Spine computed tomography — sagittal view — 512x919 px
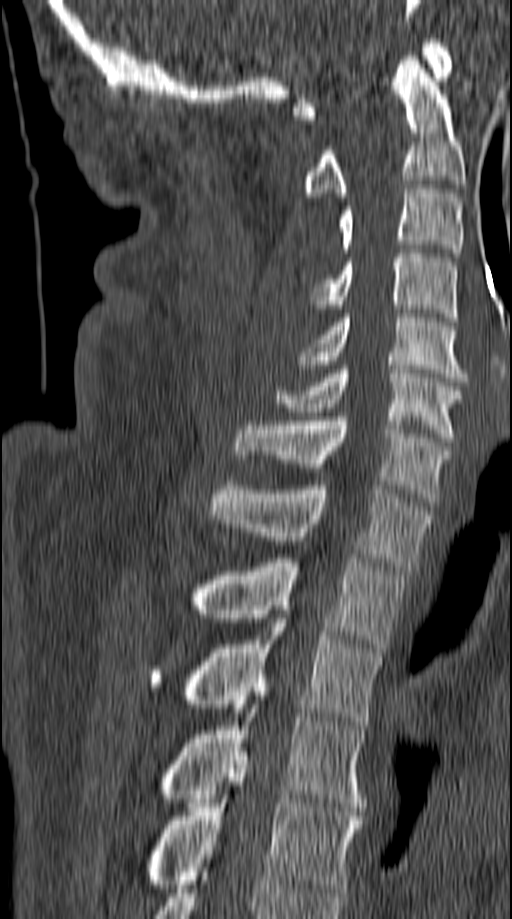

Box edges are left/top/right/bottom in pixels.
| vertebra | x1 | y1 | x2 | y2 |
|---|---|---|---|---|
| C1 | 293 | 39 | 451 | 119 |
| C2 | 301 | 56 | 464 | 201 |
| C3 | 338 | 185 | 463 | 257 |
| C4 | 310 | 249 | 457 | 321 |
| C5 | 298 | 314 | 467 | 381 |
| C6 | 276 | 365 | 464 | 441 |
| C7 | 235 | 412 | 450 | 502 |
| T1 | 211 | 481 | 430 | 570 |
| T2 | 197 | 554 | 406 | 652 |
| T3 | 150 | 614 | 382 | 725 |
| T4 | 163 | 700 | 365 | 811 |
| T5 | 149 | 756 | 364 | 892 |